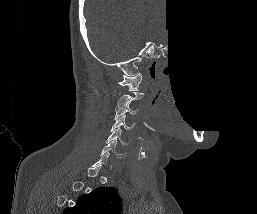

Spine computed tomography; sagittal view; 257x214 px; a region is blanked to uniform black, ending in a straight edge
A vertebra is boxed only from the first to the last slice where its cross-section is at least a third of its largest; slices outside that range leave it without a box.
<vertebrae><v name="C1" x1="118" y1="73" x2="142" y2="90"/><v name="C2" x1="117" y1="91" x2="144" y2="108"/><v name="C3" x1="114" y1="102" x2="137" y2="119"/><v name="C4" x1="111" y1="115" x2="134" y2="131"/><v name="C5" x1="106" y1="127" x2="130" y2="145"/><v name="C6" x1="100" y1="138" x2="126" y2="158"/></vertebrae>